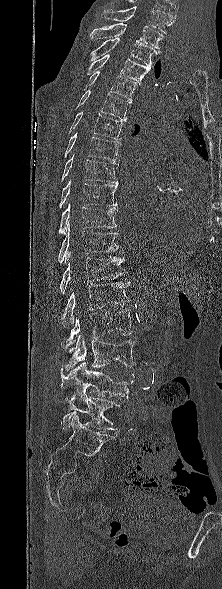

Spine computed tomography · sagittal view · bone window
This scan's labels start at T1 at the top and end at L5 at the bottom.
<vertebrae><v name="T1" x1="90" y1="23" x2="162" y2="52"/><v name="T2" x1="90" y1="37" x2="156" y2="65"/><v name="T3" x1="86" y1="54" x2="150" y2="84"/><v name="T4" x1="82" y1="71" x2="137" y2="101"/><v name="T5" x1="74" y1="90" x2="131" y2="122"/><v name="T6" x1="68" y1="111" x2="123" y2="139"/><v name="T7" x1="64" y1="132" x2="121" y2="160"/><v name="T8" x1="61" y1="154" x2="118" y2="183"/><v name="T9" x1="59" y1="179" x2="118" y2="208"/><v name="T10" x1="58" y1="201" x2="116" y2="234"/><v name="T11" x1="58" y1="223" x2="119" y2="263"/><v name="T12" x1="60" y1="252" x2="127" y2="293"/><v name="L1" x1="63" y1="281" x2="130" y2="327"/><v name="L2" x1="66" y1="309" x2="134" y2="352"/><v name="L3" x1="64" y1="335" x2="135" y2="371"/><v name="L4" x1="60" y1="362" x2="134" y2="401"/><v name="L5" x1="57" y1="391" x2="120" y2="431"/></vertebrae>